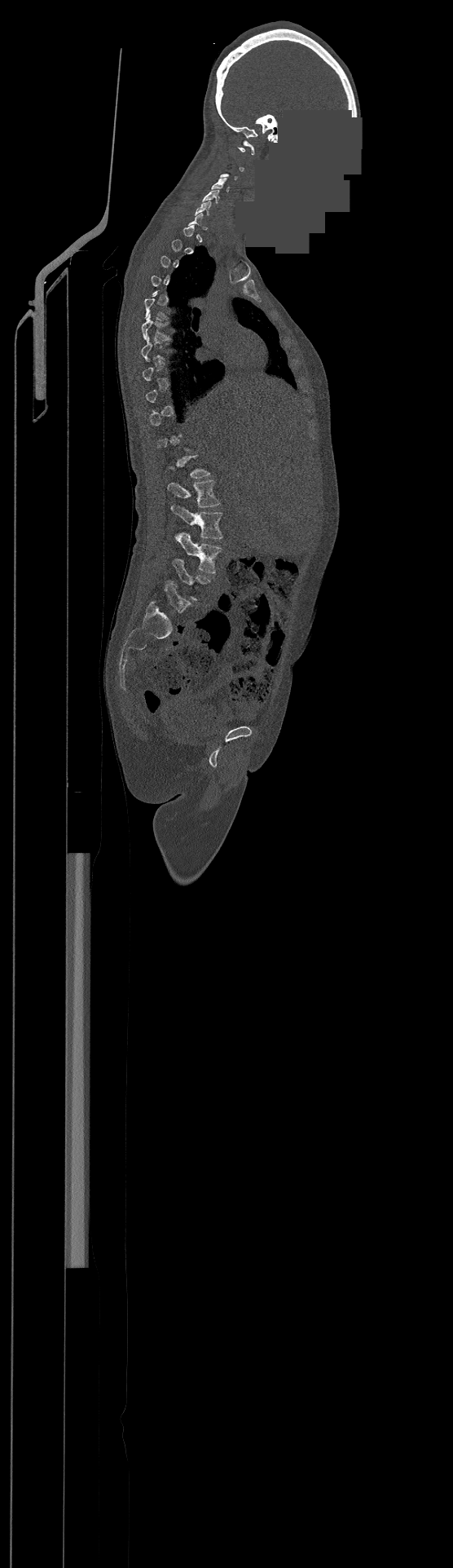 Spine computed tomography — sagittal view — bone window — 453x1568 px — part of the image is a flat gray fill, not anatomy
Boxes: x1 y1 x2 y2 (pixel coords, space-separated).
A vertebra is boxed only from the first to the last slice where its cross-section is at least a third of its largest; slices outside that range leave it without a box.
C4: 212 179 229 191
C5: 202 190 219 203
C6: 196 201 211 214
L1: 167 480 219 507
L2: 172 506 222 538
L3: 174 532 221 573